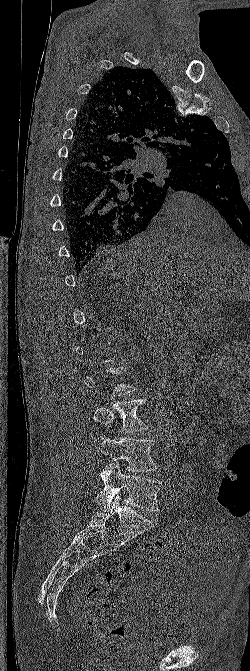
CT spine — sagittal view — W/L 1800/400 HU — image width 250 mm

Box values are [left, top, right, bottom] in pixels.
Each vertebra is boxed only on the slices from the first to the last where its cross-section reaches a third of its largest, so a slice outside that range leaves it unboxed.
{"vertebrae":{"L5":[96,462,161,511],"L4":[93,436,158,471],"L3":[93,399,148,432]}}